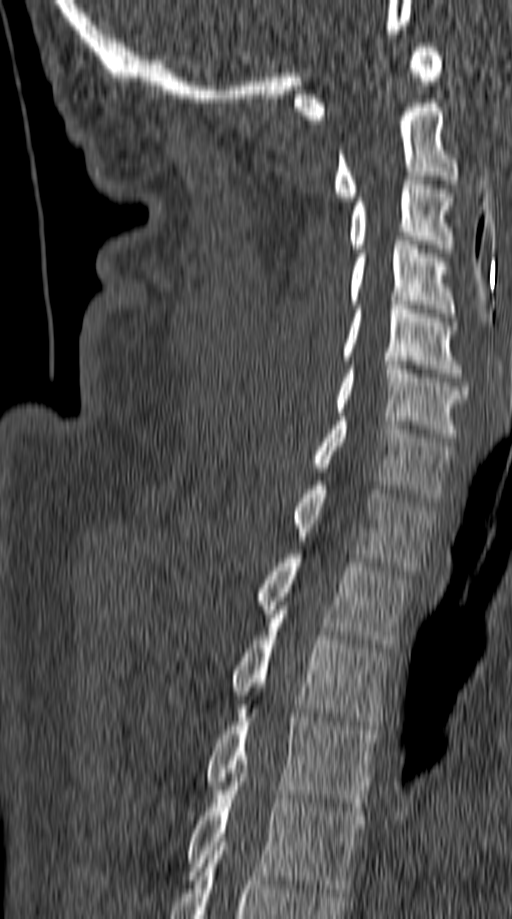

CT · sagittal view · Bone window (WL 400, WW 1800)
Box edges are left/top/right/bottom in pixels.
| vertebra | x1 | y1 | x2 | y2 |
|---|---|---|---|---|
| T5 | 187 | 777 | 364 | 892 |
| T4 | 207 | 704 | 378 | 807 |
| T3 | 231 | 614 | 389 | 729 |
| T2 | 259 | 554 | 409 | 648 |
| T1 | 293 | 481 | 433 | 570 |
| C7 | 313 | 417 | 451 | 502 |
| C6 | 333 | 361 | 468 | 441 |
| C5 | 341 | 301 | 461 | 377 |
| C4 | 350 | 241 | 454 | 317 |
| C3 | 348 | 172 | 452 | 252 |
| C2 | 335 | 103 | 457 | 201 |
| C1 | 294 | 43 | 443 | 124 |